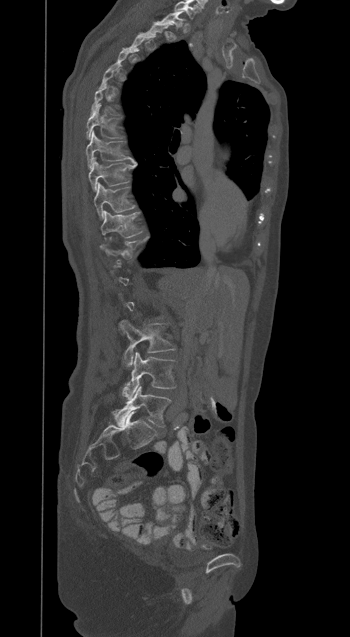

CT; sagittal view; 350x637 px; the image spans 350 mm across
Box values are [left, top, right, bottom] in pixels.
A vertebra is boxed only from the first to the last slice where its cross-section is at least a third of its largest; slices outside that range leave it without a box.
{"vertebrae":{"T7":[86,103,120,139],"T8":[86,132,134,168],"T9":[88,157,136,191],"T10":[94,183,134,219],"T11":[100,210,142,237],"L3":[119,320,175,366],"L4":[123,351,176,399],"L5":[115,386,170,426]}}